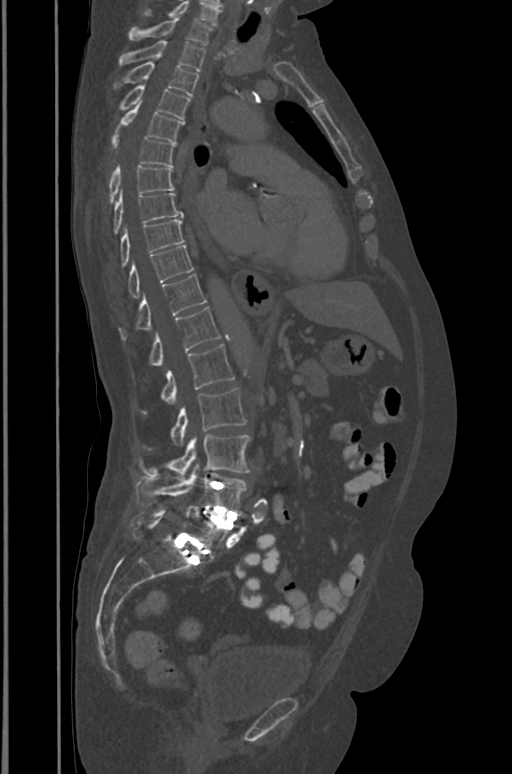 Spine computed tomography. sagittal view. Bone window (WL 400, WW 1800). 512x774 px. image width 391 mm
Bounding boxes as [x1, y1, x2, y2] in pixel coordinates.
This scan's labels start at T1 at the top and end at L5 at the bottom.
T1: [128, 15, 211, 45]
T2: [119, 40, 205, 70]
T3: [114, 62, 198, 95]
T4: [119, 85, 190, 119]
T5: [114, 103, 184, 143]
T6: [111, 134, 174, 166]
T7: [109, 166, 174, 202]
T8: [114, 192, 182, 233]
T9: [120, 219, 184, 265]
T10: [128, 245, 193, 297]
T11: [119, 275, 206, 339]
T12: [149, 307, 220, 365]
L1: [144, 344, 233, 412]
L2: [170, 389, 247, 446]
L3: [139, 434, 249, 478]
L4: [135, 464, 247, 511]
L5: [131, 507, 228, 558]